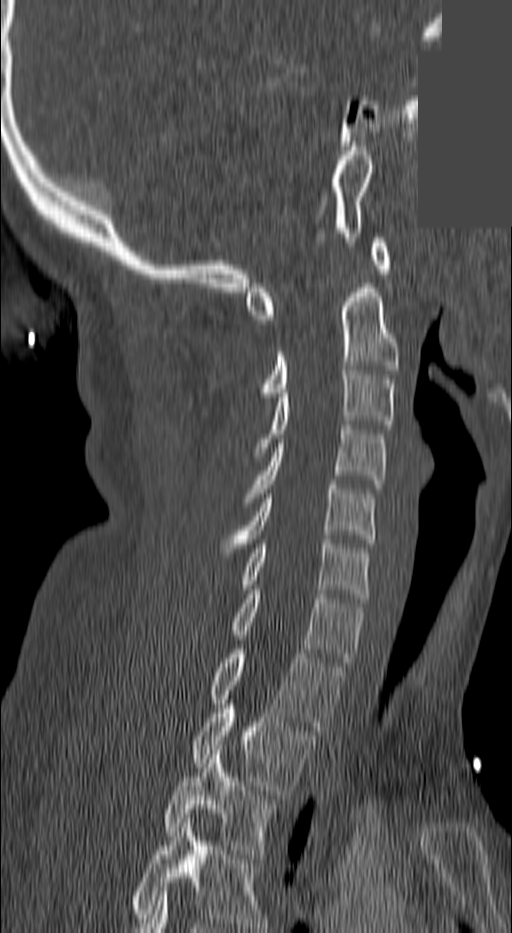
Computed tomography of the spine — sagittal view — an area of the scan was removed and filled with constant pixels. Coordinates as <box>x1,y1,x2,y2</box>.
Labels in this scan begin with C1 at the top and end with T3 at the bottom.
Vertebra bounding boxes:
- C1: <box>246,238,388,319</box>
- C2: <box>261,283,399,397</box>
- C3: <box>250,366,395,456</box>
- C4: <box>242,425,384,502</box>
- C5: <box>221,485,373,552</box>
- C6: <box>243,539,370,602</box>
- C7: <box>232,590,362,666</box>
- T1: <box>210,649,344,730</box>
- T2: <box>192,704,315,794</box>
- T3: <box>162,750,275,858</box>